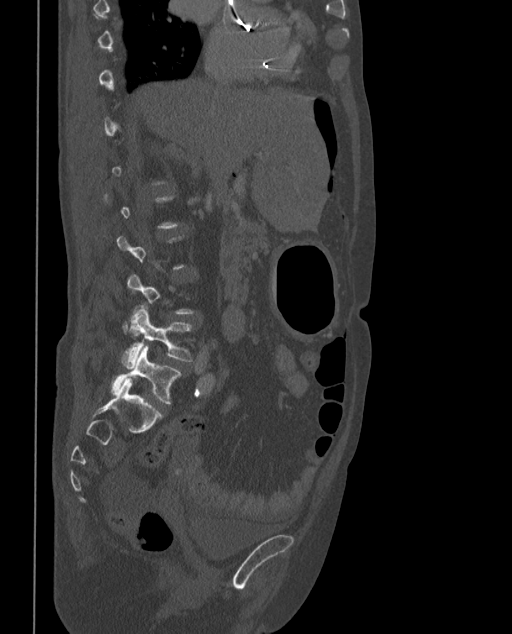 Spine CT; sagittal view; W/L 1800/400 HU; the image spans 373 mm across
Each vertebra is boxed only on the slices from the first to the last where its cross-section reaches a third of its largest, so a slice outside that range leaves it unboxed.
These labels give the spine a sixth lumbar vertebra, L6, below L5.
<vertebrae><v name="L5" x1="122" y1="304" x2="191" y2="367"/><v name="L6" x1="111" y1="346" x2="180" y2="404"/></vertebrae>